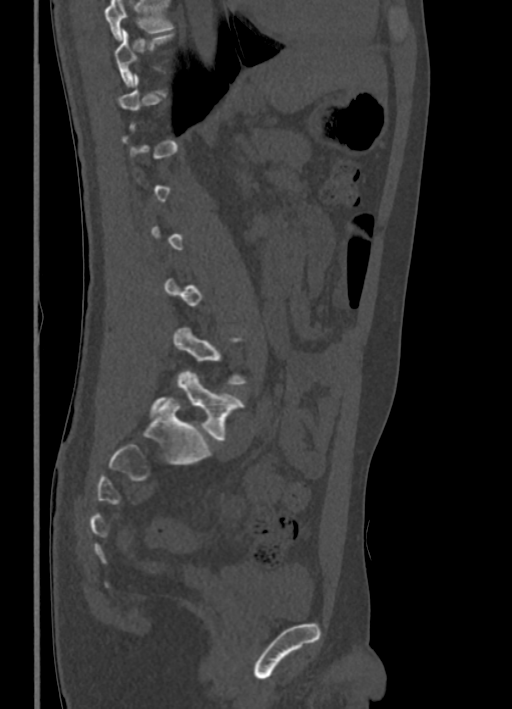 Spine CT; sagittal view
Boxes below are [x1, y1, x2, y2] in pixels.
A vertebra is boxed only from the first to the last slice where its cross-section is at least a third of its largest; slices outside that range leave it without a box.
A vertebra cut off by the top edge of the scan is not labeled and has no box.
{"vertebrae":{"L5":[149,371,244,440],"T10":[114,29,174,87]}}